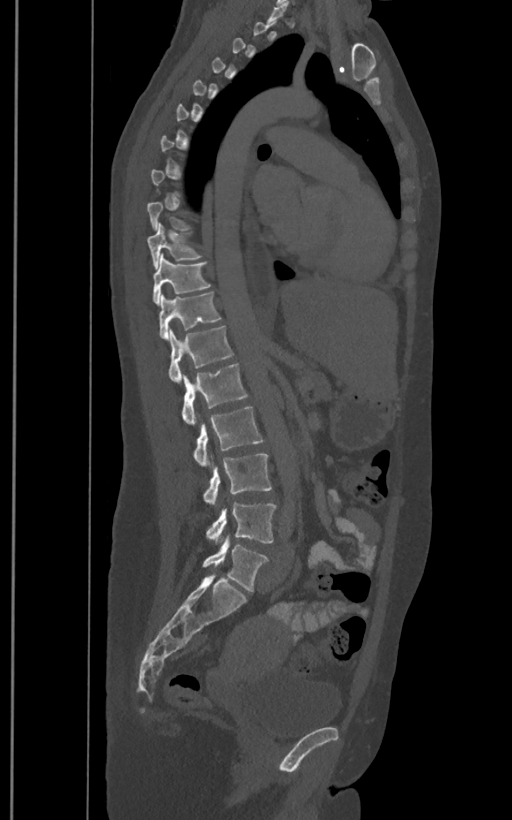 CT spine. sagittal reformat
Each vertebra maps to its box as [x1, y1, x2, y2], the pixel coordinates of its top-left and bottom-right corners.
A vertebra is boxed only from the first to the last slice where its cross-section is at least a third of its largest; slices outside that range leave it without a box.
These labels give the spine a sixth lumbar vertebra, L6, below L5.
{"vertebrae":{"T10":[147,222,201,267],"T11":[152,255,211,304],"T12":[159,291,220,339],"L1":[169,326,233,383],"L2":[182,363,248,425],"L3":[193,407,264,468],"L4":[203,453,271,505],"L5":[206,503,275,543],"L6":[202,535,268,591]}}